Spine CT; sagittal plane, index 274; 512x425 px
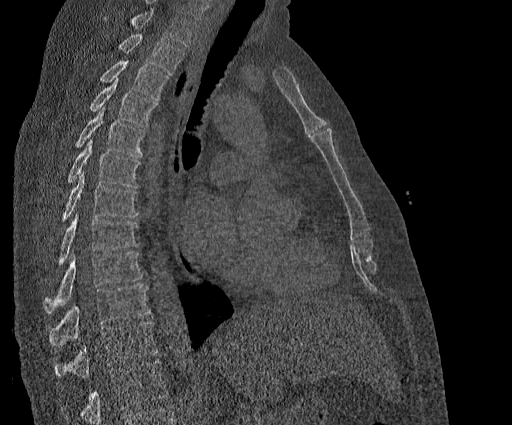
Boxes are (x1, y1, x2, y2) in pixels. Vertebrae that run past the top of the scan are left unlabeled. Labels in this scan begin with T2 at the top and end with T11 at the bottom. The labeled vertebrae in this slice are: T11 at (54, 321, 157, 378), T10 at (49, 284, 149, 346), T9 at (44, 251, 143, 314), T8 at (58, 213, 137, 264), T7 at (62, 172, 137, 220), T6 at (68, 137, 140, 187), T5 at (76, 107, 144, 156), T4 at (90, 79, 156, 127), T3 at (100, 60, 168, 99), T2 at (118, 35, 184, 74).